CT, spine. Sagittal slice 233/512
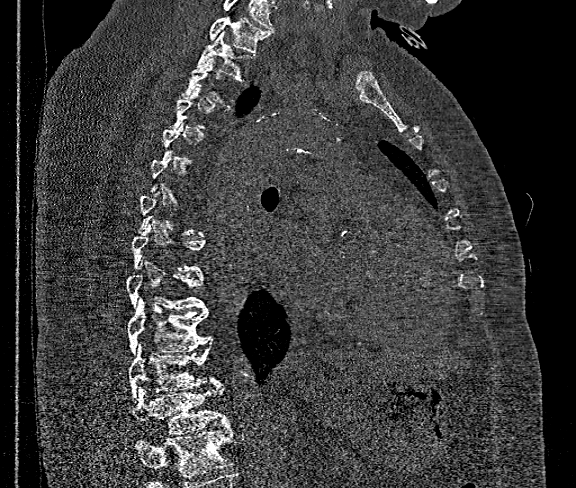

Box values are [left, top, right, bottom] in pixels.
A vertebra is boxed only from the first to the last slice where its cross-section is at least a third of its largest; slices outside that range leave it without a box.
Vertebrae that run past the bottom of the scan are left unlabeled.
{"vertebrae":{"T1":[209,9,271,52],"T2":[197,31,254,79],"T9":[126,263,205,308],"T10":[128,298,210,355],"T11":[129,341,219,399],"T12":[133,384,231,433]}}